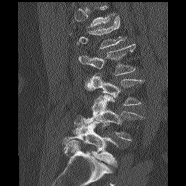 Spine computed tomography · sagittal view · 186 mm across the image · bone-window reconstruction. In the table, x1 and y1 are a box's top-left corner and x2 and y2 its bottom-right corner, in pixels.
No box is given to a vertebra that the top edge of the scan cuts off.
| vertebra | x1 | y1 | x2 | y2 |
|---|---|---|---|---|
| L1 | 70 | 15 | 126 | 49 |
| L2 | 78 | 44 | 136 | 75 |
| L3 | 84 | 74 | 143 | 105 |
| L4 | 83 | 95 | 144 | 140 |
| L5 | 62 | 117 | 118 | 166 |